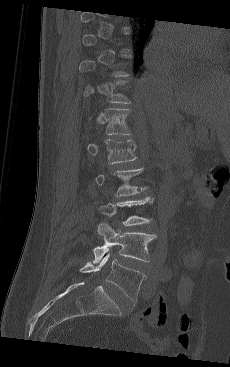
CT spine. the image spans 230 mm across. sagittal view
Boxes below are [x1, y1, x2, y2] in pixels.
A vertebra gets a box only on the slices from the first to the last where its cross-section is at least a third of its largest; on a slice outside that range it gets none.
{"vertebrae":{"T11":[84,81,130,103],"T12":[100,108,131,135],"L1":[87,138,137,164],"L2":[95,167,147,196],"L3":[98,197,153,225],"L4":[93,222,155,262],"L5":[80,253,145,302]}}